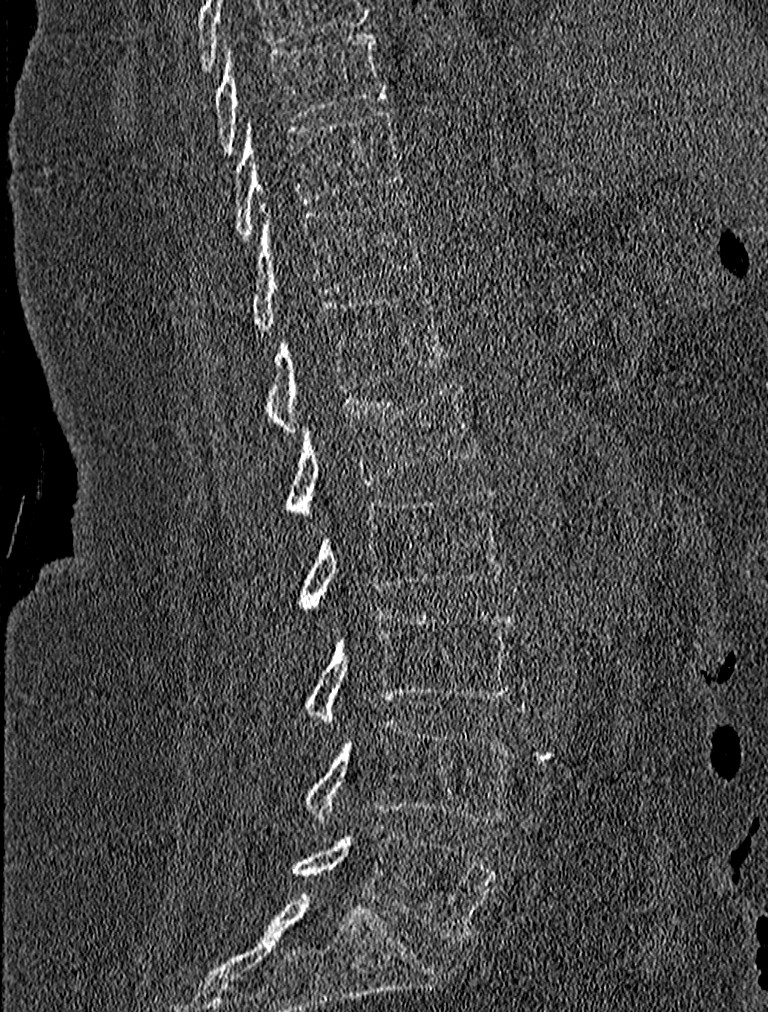 CT · sagittal view
<vertebrae><v name="L5" x1="293" y1="824" x2="499" y2="941"/><v name="L4" x1="303" y1="719" x2="513" y2="823"/><v name="L3" x1="303" y1="611" x2="515" y2="725"/><v name="L2" x1="297" y1="487" x2="502" y2="610"/><v name="L1" x1="286" y1="379" x2="478" y2="518"/><v name="T12" x1="263" y1="288" x2="448" y2="431"/><v name="T11" x1="249" y1="196" x2="421" y2="331"/><v name="T10" x1="232" y1="108" x2="404" y2="240"/><v name="T9" x1="212" y1="30" x2="387" y2="151"/></vertebrae>